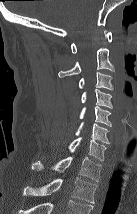
CT spine · sagittal view · Bone window (WL 400, WW 1800). Bounding boxes as [x1, y1, x2, y2] in pixel coordinates.
This scan's labels start at C1 at the top and end at T2 at the bottom.
Vertebra bounding boxes:
- T2: [23, 177, 98, 203]
- T1: [31, 156, 101, 181]
- C7: [68, 137, 106, 161]
- C6: [75, 121, 109, 143]
- C5: [79, 106, 111, 126]
- C4: [81, 89, 112, 108]
- C3: [79, 72, 113, 90]
- C2: [58, 48, 114, 77]
- C1: [71, 30, 111, 53]